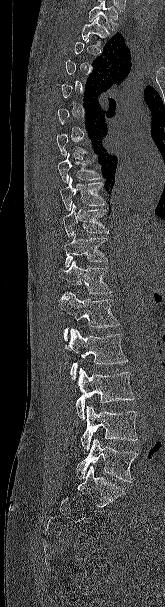

Spine computed tomography — sagittal view — bone window — the image spans 165 mm across

A vertebra gets a box only on the slices from the first to the last where its cross-section is at least a third of its largest; on a slice outside that range it gets none.
Where the top of the scan cuts through a vertebra, that vertebra gets no label or box.
<vertebrae><v name="T2" x1="81" y1="17" x2="109" y2="44"/><v name="T8" x1="57" y1="153" x2="101" y2="183"/><v name="T9" x1="60" y1="177" x2="106" y2="211"/><v name="T10" x1="62" y1="203" x2="109" y2="237"/><v name="T11" x1="63" y1="234" x2="107" y2="267"/><v name="T12" x1="58" y1="260" x2="113" y2="294"/><v name="L1" x1="59" y1="292" x2="120" y2="340"/><v name="L2" x1="65" y1="328" x2="128" y2="379"/><v name="L3" x1="75" y1="368" x2="134" y2="419"/><v name="L4" x1="81" y1="405" x2="137" y2="450"/><v name="L5" x1="76" y1="439" x2="138" y2="482"/></vertebrae>